CT — Sagittal slice 199/512 — 12 vertebrae labeled in this scan — 180 mm across the image
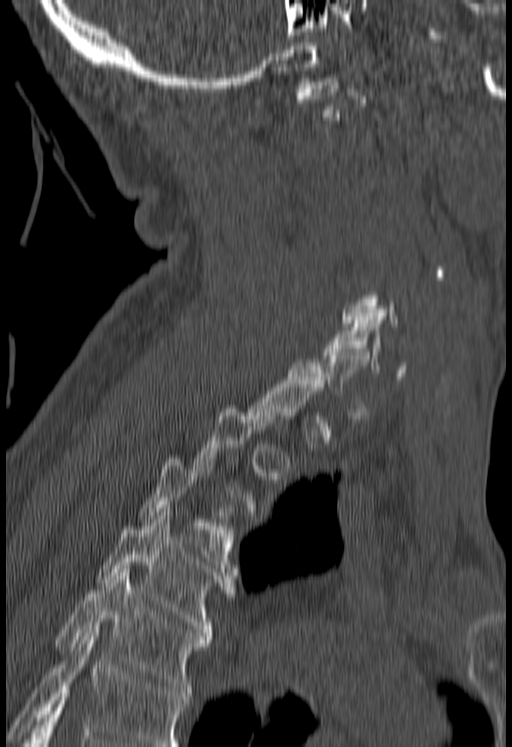 Box edges are left/top/right/bottom in pixels. Not every vertebra on this slice has a box: a vertebra is boxed only from the first to the last slice where its cross-section is at least a third of its largest, and this slice is outside that range for at least one of them. No box is given to a vertebra that the bottom edge of the scan cuts off. 4 vertebrae labeled — C6 at left=323, top=316, right=405, bottom=376; T3 at left=140, top=455, right=236, bottom=568; T4 at left=98, top=512, right=236, bottom=639; T5 at left=55, top=569, right=210, bottom=696.